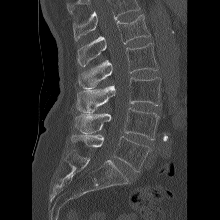
CT spine — sagittal reformat — W/L 1800/400 HU — image 220 mm wide
Vertebrae that run past the top of the scan are left unlabeled.
<vertebrae><v name="L1" x1="77" y1="14" x2="150" y2="67"/><v name="L2" x1="78" y1="43" x2="158" y2="88"/><v name="L3" x1="76" y1="77" x2="161" y2="112"/><v name="L4" x1="75" y1="107" x2="159" y2="140"/><v name="L5" x1="70" y1="134" x2="150" y2="171"/></vertebrae>